CT spine. sagittal reformat. Bone window (WL 400, WW 1800). 381x252 px. scan covers 7 annotated vertebrae
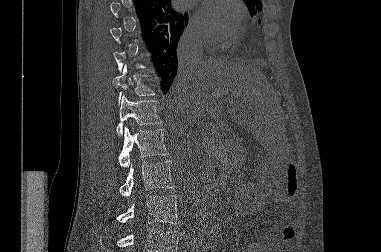 Boxes: x1:y1:x2:y2 in pixels.
Each vertebra is boxed only on the slices from the first to the last where its cross-section reaches a third of its largest, so a slice outside that range leaves it unboxed.
A vertebra cut off by the bottom edge of the scan is not labeled and has no box.
T11: 112:64:155:105
T12: 116:94:162:135
L1: 118:127:168:167
L2: 119:161:173:196
L3: 116:195:179:224